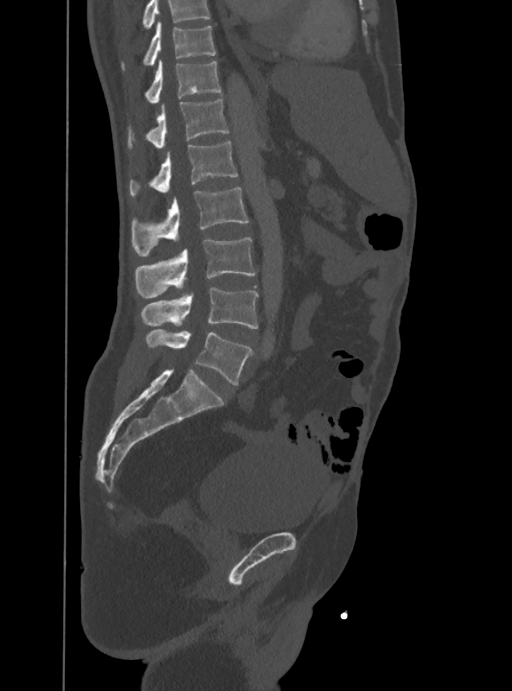 CT — sagittal view — the image spans 388 mm across
No box is given to a vertebra that the top edge of the scan cuts off.
<vertebrae><v name="T10" x1="121" y1="21" x2="215" y2="69"/><v name="T11" x1="145" y1="61" x2="221" y2="104"/><v name="T12" x1="128" y1="99" x2="228" y2="147"/><v name="L1" x1="129" y1="141" x2="238" y2="197"/><v name="L2" x1="132" y1="188" x2="248" y2="257"/><v name="L3" x1="136" y1="238" x2="255" y2="298"/><v name="L4" x1="141" y1="287" x2="257" y2="329"/><v name="L5" x1="145" y1="330" x2="251" y2="384"/></vertebrae>